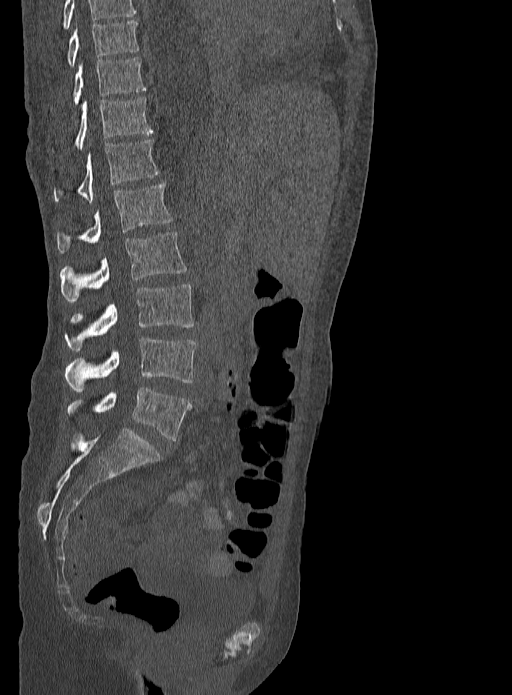 CT; sagittal view; 512x695 px. Boxes: x1:y1:x2:y2 in pixels.
Labels in this scan begin with T9 at the top and end with L5 at the bottom.
Vertebra bounding boxes:
- T9: 66:20:139:67
- T10: 72:57:146:105
- T11: 52:97:152:153
- T12: 54:138:159:202
- L1: 57:183:172:253
- L2: 60:232:186:302
- L3: 64:284:194:351
- L4: 64:338:196:391
- L5: 67:387:191:440